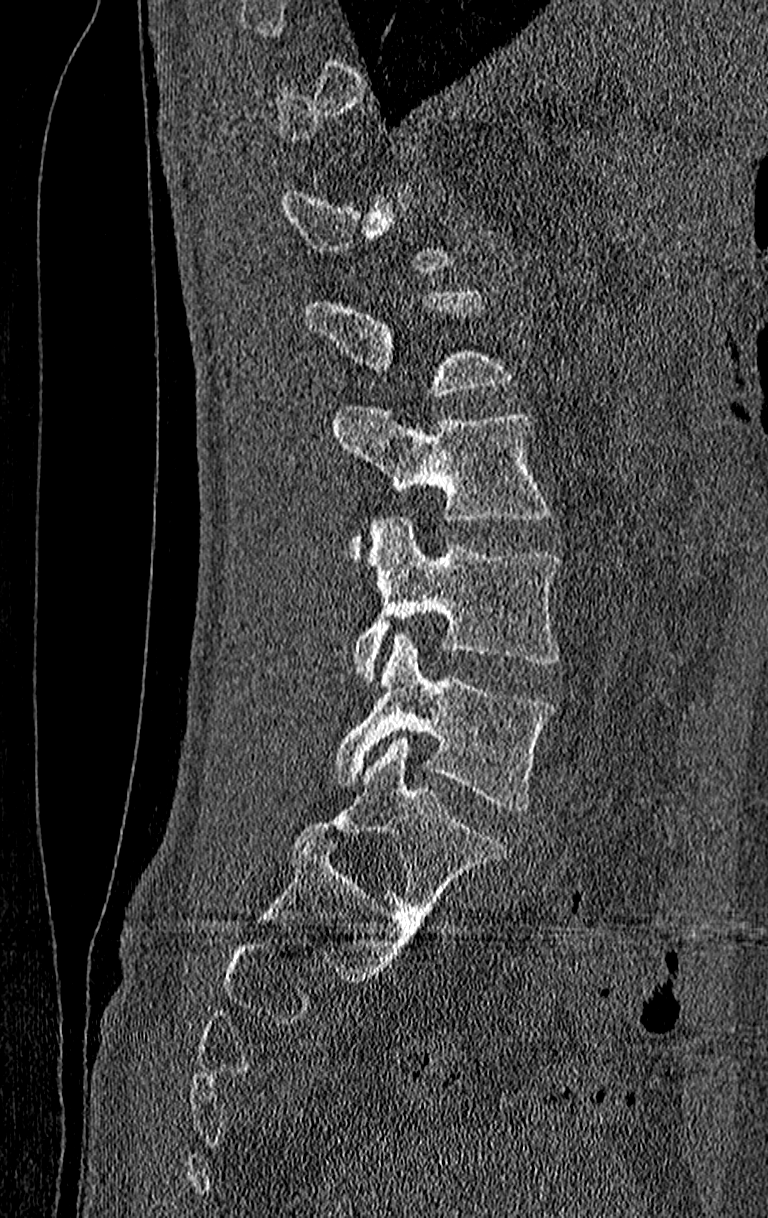

Spine CT · sagittal view · 210 mm across the image · W/L 1800/400 HU · 768x1218 px
Boxes: x1 y1 x2 y2 (pixel coords, space-separated). A vertebra is boxed only from the first to the last slice where its cross-section is at least a third of its largest; slices outside that range leave it without a box. In this scan, the topmost labeled vertebra is T11 and the lowest is L4. Vertebrae labeled: L1 at 306 286 513 396, L2 at 331 406 554 560, L3 at 353 517 557 680, L4 at 331 634 557 812.